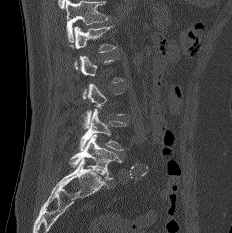
CT, spine; sagittal view; 232 mm wide. Boxes: x1 y1 x2 y2 (pixel coords, space-separated).
A vertebra gets a box only on the slices from the first to the last where its cross-section is at least a third of its largest; on a slice outside that range it gets none.
No box is given to a vertebra that the top edge of the scan cuts off.
L5: 69 134 121 180
L4: 79 108 127 150
L1: 70 25 115 69